CT, spine; sagittal reformat; Bone window (WL 400, WW 1800); 658x798 px; 395 mm wide
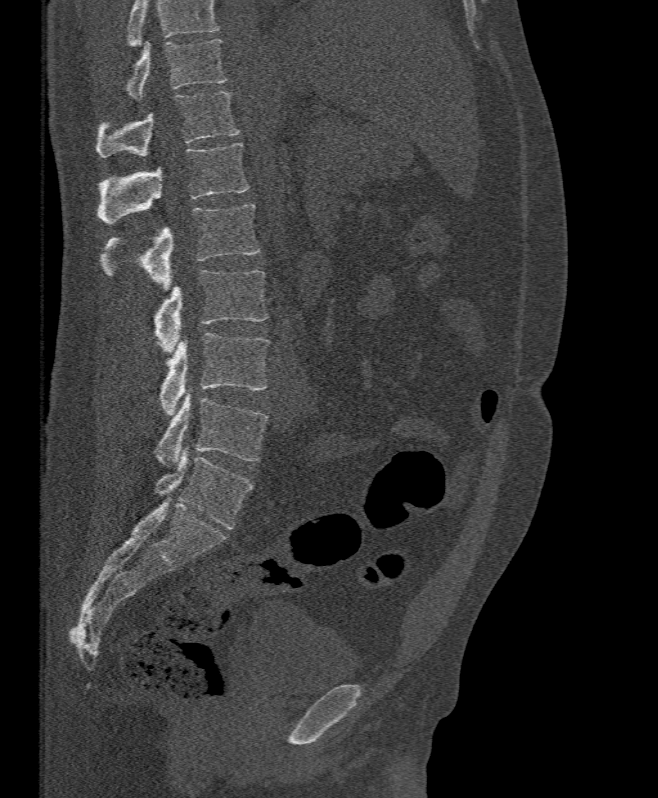
A vertebra cut off by the top edge of the scan is not labeled and has no box.
<vertebrae><v name="T11" x1="125" y1="38" x2="227" y2="99"/><v name="T12" x1="95" y1="92" x2="241" y2="157"/><v name="L1" x1="98" y1="143" x2="248" y2="224"/><v name="L2" x1="102" y1="205" x2="260" y2="292"/><v name="L3" x1="154" y1="270" x2="268" y2="352"/><v name="L4" x1="159" y1="333" x2="269" y2="416"/><v name="L5" x1="154" y1="388" x2="268" y2="468"/></vertebrae>